Spine computed tomography — sagittal reformat — 257x214 px — part of the image has been replaced by a constant value
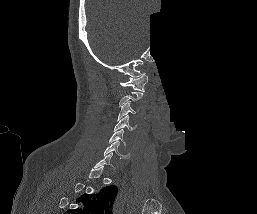
Boxes are (x1, y1, x2, y2) in pixels.
A vertebra gets a box only on the slices from the first to the last where its cross-section is at least a third of its largest; on a slice outside that range it gets none.
C1: (119, 73, 147, 91)
C3: (117, 101, 138, 121)
C4: (114, 115, 136, 131)
C5: (109, 129, 125, 144)
C6: (104, 141, 129, 158)